Computed tomography of the spine; sagittal view; W/L 1800/400 HU
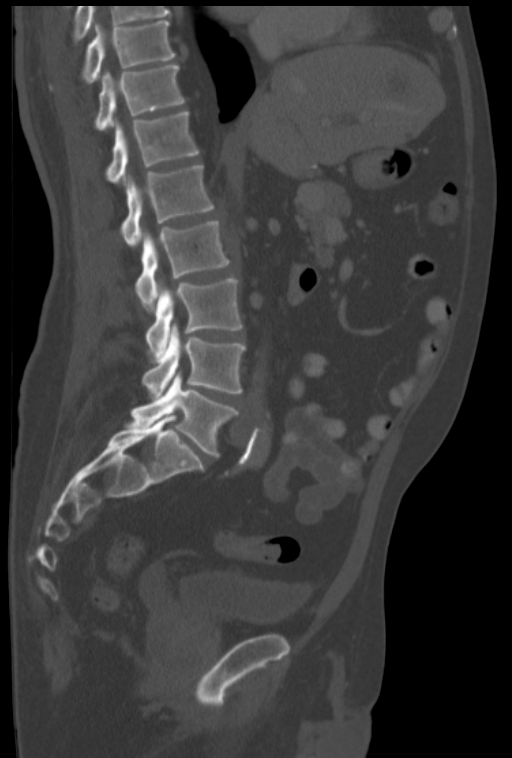

Coordinates as <box>x1,y1,x2,y2</box>.
The highest labeled vertebra in this scan is T10; the lowest is L5.
T10: <box>81,21,176,84</box>
T11: <box>94,64,184,130</box>
T12: <box>107,112,198,184</box>
L1: <box>121,164,214,247</box>
L2: <box>135,221,230,308</box>
L3: <box>145,278,243,358</box>
L4: <box>142,324,246,398</box>
L5: <box>126,372,238,457</box>